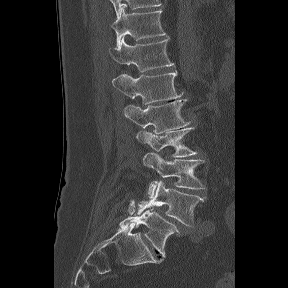 CT, spine — sagittal view — 288x288 px
Boxes: x1:y1:x2:y2 in pixels.
These labels give the spine a sixth lumbar vertebra, L6, below L5.
Vertebra bounding boxes:
- L6: 119:207:180:257
- L5: 137:180:205:226
- L4: 142:152:205:197
- L3: 136:127:197:157
- L2: 124:99:189:133
- L1: 112:71:181:104
- T12: 109:37:173:72
- T11: 111:6:165:48